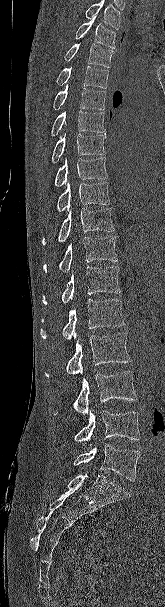

CT, spine. sagittal reformat
Each box given as x1,y1,x2,y2.
No box is given to a vertebra that the top edge of the scan cuts off.
| vertebra | x1 | y1 | x2 | y2 |
|---|---|---|---|---|
| L5 | 73 | 444 | 140 | 481 |
| L4 | 73 | 409 | 140 | 447 |
| L3 | 53 | 371 | 137 | 415 |
| L2 | 44 | 332 | 131 | 377 |
| L1 | 40 | 299 | 125 | 339 |
| T12 | 42 | 266 | 121 | 304 |
| T11 | 43 | 236 | 118 | 272 |
| T10 | 42 | 208 | 114 | 245 |
| T9 | 56 | 181 | 110 | 213 |
| T8 | 54 | 157 | 107 | 186 |
| T7 | 51 | 133 | 105 | 163 |
| T6 | 51 | 111 | 105 | 137 |
| T5 | 53 | 84 | 106 | 110 |
| T4 | 56 | 66 | 108 | 88 |
| T3 | 64 | 43 | 113 | 67 |
| T2 | 75 | 17 | 115 | 48 |